Computed tomography of the spine · sagittal reformat · bone-window reconstruction · 257x214 px · 8 vertebrae labeled in this scan · a portion of the image is blanked out (constant pixel value)
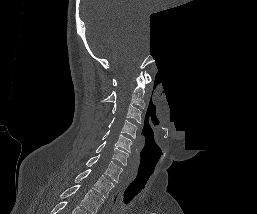 Columns x1, y1, x2, y2 give each box's top-left and bottom-right pixels.
In this scan, the topmost labeled vertebra is C1 and the lowest is T1.
| vertebra | x1 | y1 | x2 | y2 |
|---|---|---|---|---|
| T1 | 74 | 169 | 114 | 197 |
| C7 | 86 | 154 | 122 | 182 |
| C6 | 96 | 141 | 128 | 165 |
| C5 | 102 | 130 | 132 | 152 |
| C4 | 108 | 117 | 137 | 138 |
| C3 | 112 | 102 | 141 | 123 |
| C2 | 102 | 72 | 148 | 109 |
| C1 | 112 | 71 | 151 | 85 |